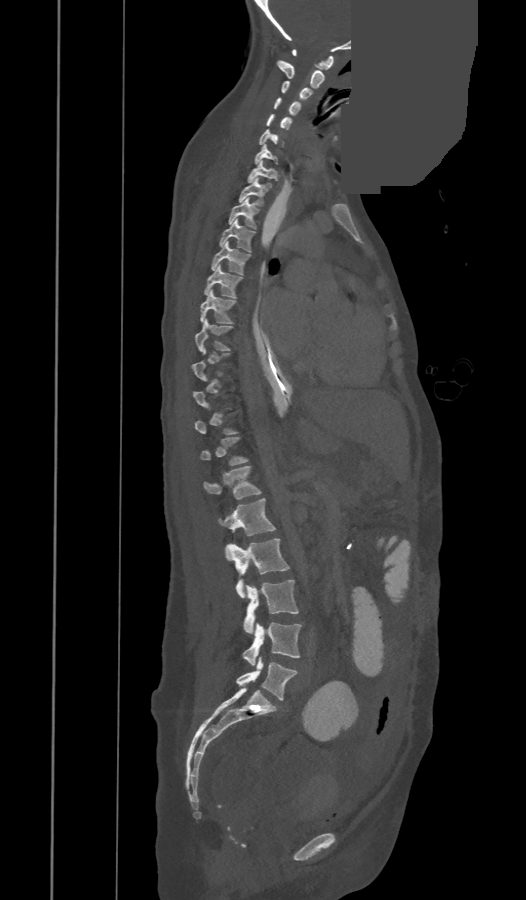

CT, spine. sagittal reformat. W/L 1800/400 HU. a region is masked with a constant gray value. Boxes: x1 y1 x2 y2 (pixel coords, space-separated).
A vertebra gets a box only on the slices from the first to the last where its cross-section is at least a third of its largest; on a slice outside that range it gets none.
These labels give the spine a thirteenth thoracic vertebra: T13 sits between T12 and L1.
Vertebra bounding boxes:
- C1: 292 49 334 69
- C2: 276 60 324 88
- C3: 281 81 312 101
- C4: 273 97 300 116
- C5: 267 113 293 129
- C6: 259 129 283 147
- C7: 255 145 278 165
- T1: 246 161 277 185
- T2: 239 178 268 206
- T3: 228 198 259 229
- T4: 219 219 256 251
- T5: 211 241 250 275
- T6: 204 265 242 298
- T7: 200 290 236 324
- T8: 195 319 232 351
- T9: 191 348 230 380
- T12: 200 437 247 465
- T13: 203 466 261 499
- L1: 220 498 275 561
- L2: 226 538 288 597
- L3: 243 580 298 634
- L4: 242 622 301 665
- L5: 235 657 297 700